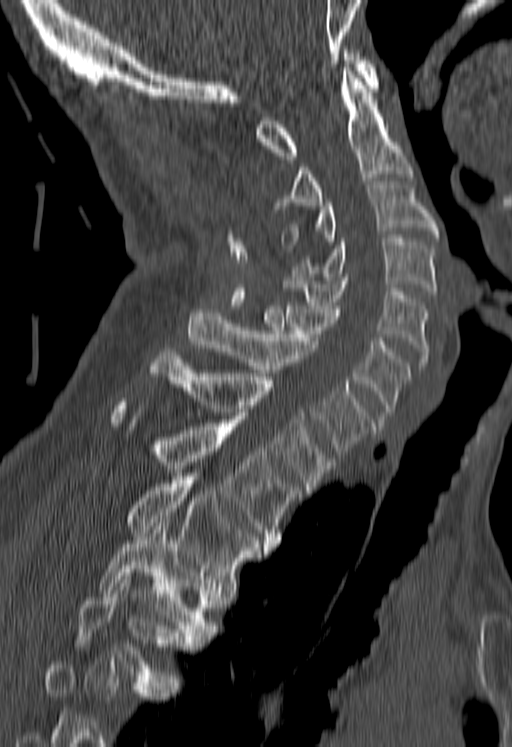
CT; sagittal view; Bone window (WL 400, WW 1800)
Each vertebra maps to its box as [x1, y1, x2, y2], the pixel coordinates of its top-left and bottom-right corners.
Vertebrae that run past the bottom of the scan are left unlabeled.
{"vertebrae":{"C1":[255,50,378,159],"C2":[277,68,412,209],"C3":[283,181,438,248],"C4":[291,235,435,294],"C5":[283,277,427,369],"C6":[263,306,410,419],"C7":[188,309,375,454],"T1":[146,348,336,493],"T2":[109,398,301,547],"T3":[126,473,270,586],"T4":[96,523,216,639],"T5":[74,572,193,682]}}